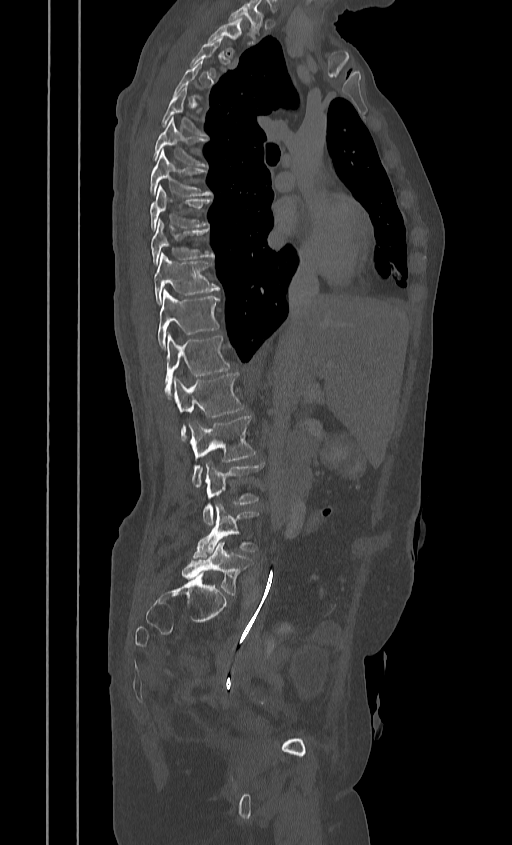
Computed tomography of the spine — sagittal view — bone-window reconstruction — 384 mm image width
Columns x1, y1, x2, y2 give each box's top-left and bottom-right pixels.
Not every vertebra on this slice has a box: a vertebra is boxed only from the first to the last slice where its cross-section is at least a third of its largest, and this slice is outside that range for at least one of them.
In this scan, the topmost labeled vertebra is T2 and the lowest is L5.
| vertebra | x1 | y1 | x2 | y2 |
|---|---|---|---|---|
| T2 | 208 | 17 | 241 | 52 |
| T5 | 162 | 88 | 203 | 134 |
| T6 | 152 | 116 | 207 | 166 |
| T7 | 149 | 151 | 211 | 196 |
| T8 | 149 | 185 | 211 | 230 |
| T9 | 150 | 220 | 213 | 264 |
| T10 | 154 | 253 | 219 | 303 |
| T11 | 157 | 289 | 219 | 348 |
| T12 | 165 | 333 | 229 | 395 |
| L1 | 173 | 373 | 244 | 439 |
| L2 | 188 | 416 | 256 | 486 |
| L3 | 202 | 461 | 264 | 524 |
| L4 | 193 | 503 | 259 | 558 |
| L5 | 181 | 541 | 252 | 595 |